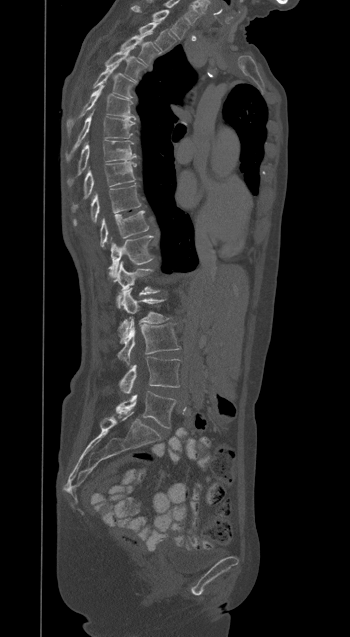
Spine computed tomography · the image is 350 mm wide · sagittal view

Each box is [x1, y1, x2, y2] in pixels: top-left corner, then bottom-right corner.
{"vertebrae":{"L5":[115,391,176,428],"L4":[119,356,179,393],"L3":[118,319,179,364],"L2":[118,288,167,342],"L1":[116,262,159,307],"T12":[109,235,153,281],"T11":[100,211,148,247],"T10":[73,185,141,225],"T9":[72,162,136,211],"T8":[67,140,135,185],"T7":[66,114,135,160],"T6":[67,85,135,129],"T5":[94,65,132,98],"T4":[106,50,144,79],"T3":[120,35,157,64],"T2":[139,22,175,51],"T1":[131,5,187,38]}}